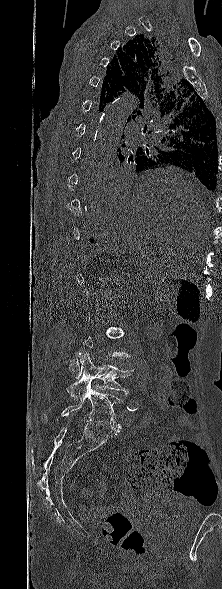 Spine CT; sagittal view; Bone window (WL 400, WW 1800); 222x589 px
Box edges are left/top/right/bottom in pixels.
A vertebra gets a box only on the slices from the first to the last where its cross-section is at least a third of its largest; on a slice outside that range it gets none.
Vertebra bounding boxes:
- L4: left=66, top=351, right=133, bottom=401
- L5: left=43, top=380, right=122, bottom=432